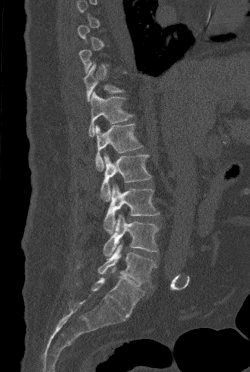 Computed tomography of the spine; sagittal reformat; W/L 1800/400 HU; 250x372 px

Each box given as x1,y1,x2,y2.
A vertebra gets a box only on the slices from the first to the last where its cross-section is at least a third of its largest; on a slice outside that range it gets none.
| vertebra | x1 | y1 | x2 | y2 |
|---|---|---|---|---|
| T11 | 83 | 63 | 123 | 101 |
| T12 | 88 | 91 | 132 | 136 |
| L1 | 95 | 123 | 142 | 171 |
| L2 | 100 | 153 | 151 | 201 |
| L3 | 103 | 184 | 159 | 233 |
| L4 | 103 | 214 | 158 | 256 |
| L5 | 98 | 244 | 155 | 286 |